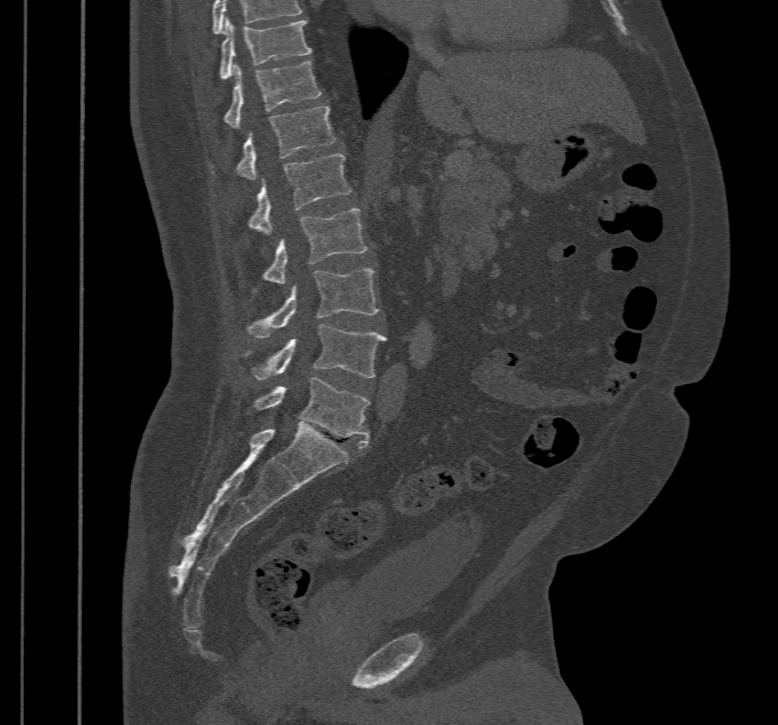 CT — sagittal reformat — bone-window reconstruction — 778x725 px — 467 mm image width
Box edges are left/top/right/bottom in pixels. In this scan, the topmost labeled vertebra is T10 and the lowest is L5. 8 vertebrae labeled — T10 at left=219, top=20, right=312, bottom=79; T11 at left=223, top=60, right=323, bottom=128; T12 at left=210, top=105, right=335, bottom=179; L1 at left=246, top=153, right=350, bottom=234; L2 at left=261, top=209, right=367, bottom=283; L3 at left=245, top=268, right=379, bottom=338; L4 at left=243, top=324, right=385, bottom=380; L5 at left=246, top=377, right=370, bottom=448.